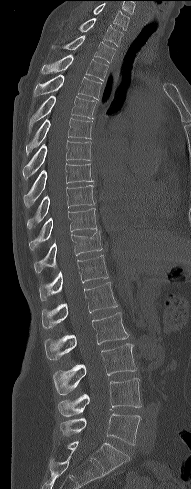

Spine computed tomography; sagittal view; 191x489 px
Each box given as x1,y1,x2,y2.
| vertebra | x1 | y1 | x2 | y2 |
|---|---|---|---|---|
| C7 | 93 | 4 | 129 | 30 |
| T1 | 79 | 18 | 123 | 46 |
| T2 | 51 | 35 | 115 | 62 |
| T3 | 40 | 55 | 108 | 80 |
| T4 | 33 | 74 | 101 | 99 |
| T5 | 28 | 95 | 96 | 131 |
| T6 | 25 | 118 | 92 | 154 |
| T7 | 22 | 141 | 91 | 179 |
| T8 | 23 | 163 | 93 | 207 |
| T9 | 26 | 185 | 94 | 230 |
| T10 | 28 | 208 | 97 | 250 |
| T11 | 34 | 229 | 102 | 272 |
| T12 | 39 | 255 | 108 | 300 |
| L1 | 41 | 282 | 117 | 328 |
| L2 | 44 | 312 | 128 | 360 |
| L3 | 53 | 343 | 136 | 395 |
| L4 | 57 | 378 | 141 | 416 |
| L5 | 59 | 414 | 140 | 445 |